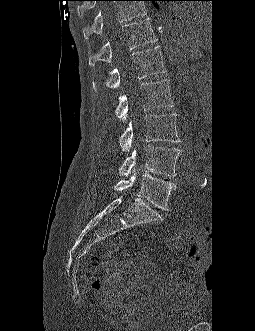 Spine computed tomography. sagittal view. bone window
Bounding boxes as [x1, y1, x2, y2] in pixel coordinates.
Vertebrae that run past the top of the scan are left unlabeled.
Vertebra bounding boxes:
- T12: [88, 18, 157, 65]
- L1: [93, 46, 166, 92]
- L2: [114, 79, 173, 121]
- L3: [119, 113, 180, 151]
- L4: [118, 144, 180, 176]
- L5: [114, 172, 176, 210]